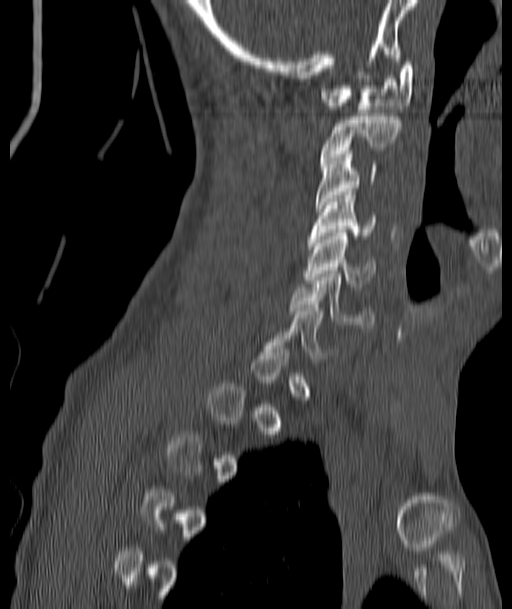

CT spine; 187 mm across the image; sagittal reformat; W/L 1800/400 HU. Each box given as x1,y1,x2,y2.
Not every vertebra on this slice has a box: a vertebra is boxed only from the first to the last slice where its cross-section is at least a third of its largest, and this slice is outside that range for at least one of them.
Vertebra bounding boxes:
- C6: x1=291, y1=270, x2=374, y2=328
- C5: x1=305, y1=229, x2=376, y2=286
- C4: x1=309, y1=192, x2=375, y2=239
- C3: x1=316, y1=151, x2=378, y2=208
- C2: x1=321, y1=113, x2=400, y2=163
- C1: x1=321, y1=62, x2=414, y2=109